Computed tomography of the spine · the image is 222 mm wide · sagittal view · 222x589 px
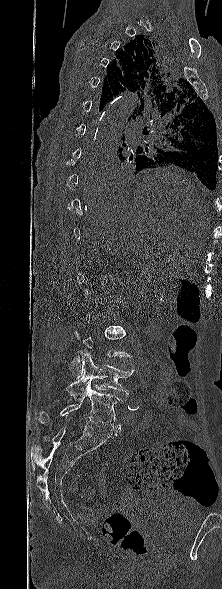 Boxes: x1 y1 x2 y2 (pixel coords, space-separated).
A vertebra is boxed only from the first to the last slice where its cross-section is at least a third of its largest; slices outside that range leave it without a box.
Vertebra bounding boxes:
- L5: 35 380 123 432
- L4: 66 350 134 398
- L3: 69 326 131 377